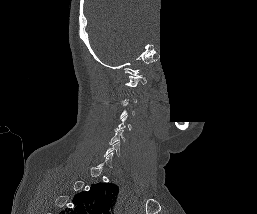

CT, spine; sagittal view; 257 mm image width; bone-window reconstruction; 257x214 px; some of the image was removed or blocked out with constant pixels
A vertebra gets a box only on the slices from the first to the last where its cross-section is at least a third of its largest; on a slice outside that range it gets none.
<vertebrae><v name="C1" x1="125" y1="75" x2="146" y2="87"/><v name="C4" x1="115" y1="115" x2="131" y2="131"/><v name="C5" x1="109" y1="130" x2="125" y2="144"/></vertebrae>